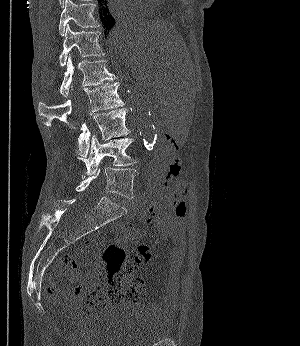

CT spine · sagittal view · bone-window reconstruction

Each box given as x1,y1,x2,y2.
| vertebra | x1 | y1 | x2 | y2 |
|---|---|---|---|---|
| T11 | 59 | 0 | 99 | 35 |
| T12 | 59 | 24 | 104 | 67 |
| L1 | 58 | 54 | 115 | 97 |
| L2 | 38 | 82 | 124 | 128 |
| L3 | 50 | 108 | 130 | 156 |
| L4 | 77 | 134 | 137 | 175 |
| L5 | 76 | 167 | 139 | 198 |